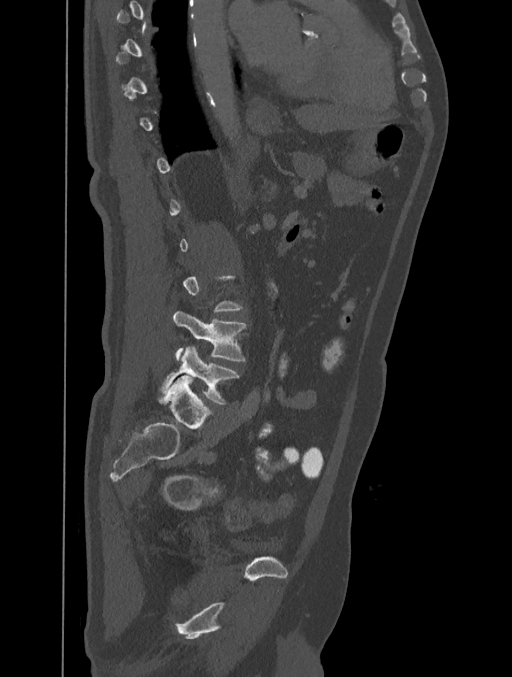
CT spine; sagittal view; 512x677 px; 401 mm across the image. Box edges are left/top/right/bottom in pixels. A vertebra gets a box only on the slices from the first to the last where its cross-section is at least a third of its largest; on a slice outside that range it gets none. Vertebrae labeled: L4 at left=174, top=311, right=247, bottom=361, L5 at left=158, top=346, right=239, bottom=403.